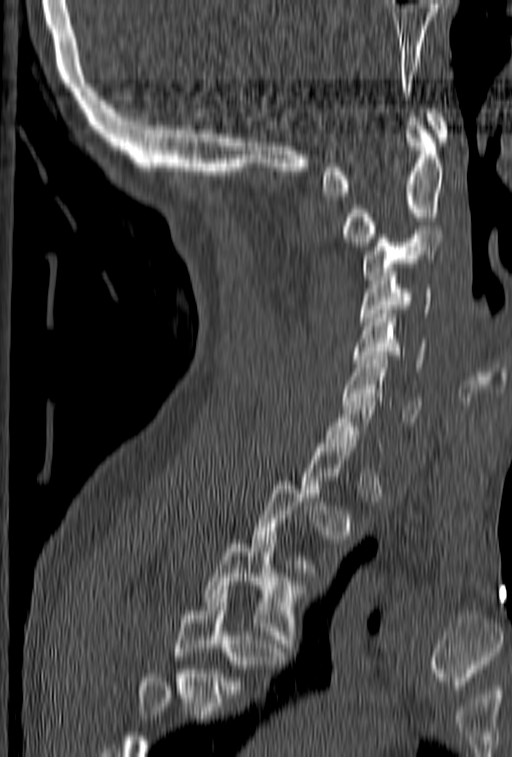 CT spine · sagittal view · bone window
Boxes: x1:y1:x2:y2 in pixels. Not every vertebra on this slice has a box: a vertebra is boxed only from the first to the last slice where its cross-section is at least a third of its largest, and this slice is outside that range for at least one of them. Where the bottom of the scan cuts through a vertebra, that vertebra gets no label or box. Vertebrae labeled: C1 at 321:109:450:196, C2 at 342:117:445:246, C3 at 362:230:444:279, C4 at 359:264:432:325, C5 at 353:310:425:371, C6 at 343:356:421:421, C7 at 323:389:383:451, T3 at 203:540:308:656, T4 at 175:590:286:698.